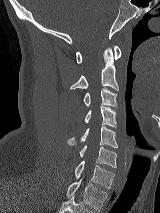
CT spine · sagittal view · image width 160 mm · Bone window (WL 400, WW 1800) · 160x213 px
Box edges are left/top/right/bottom in pixels.
C1: left=76, top=46, right=121, bottom=63
C2: left=70, top=48, right=118, bottom=90
C3: left=83, top=87, right=117, bottom=107
C4: left=84, top=106, right=116, bottom=127
C5: left=67, top=126, right=117, bottom=147
C6: left=79, top=145, right=116, bottom=167
C7: left=75, top=160, right=114, bottom=188
T1: left=66, top=179, right=107, bottom=211